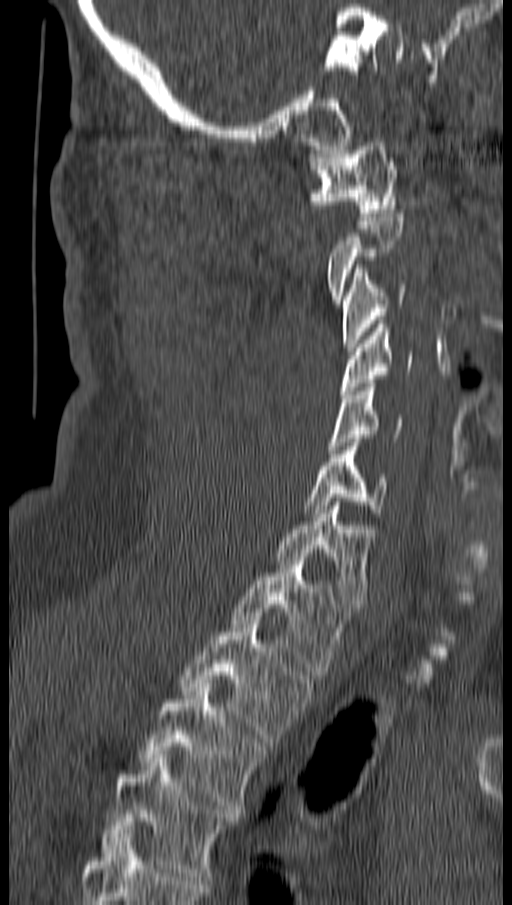 CT; sagittal view; 162 mm wide

Box edges are left/top/right/bottom in pixels.
A vertebra is boxed only from the first to the last slice where its cross-section is at least a third of its largest; slices outside that range leave it without a box.
Vertebra bounding boxes:
- C1: left=311, top=138, right=398, bottom=216
- C3: left=342, top=265, right=405, bottom=351
- C4: left=339, top=324, right=412, bottom=398
- C5: left=330, top=383, right=401, bottom=453
- C6: left=304, top=442, right=388, bottom=517
- C7: left=276, top=502, right=370, bottom=607
- T1: left=232, top=557, right=348, bottom=675
- T2: left=178, top=620, right=313, bottom=742
- T3: left=140, top=683, right=266, bottom=813
- T4: left=102, top=755, right=237, bottom=880